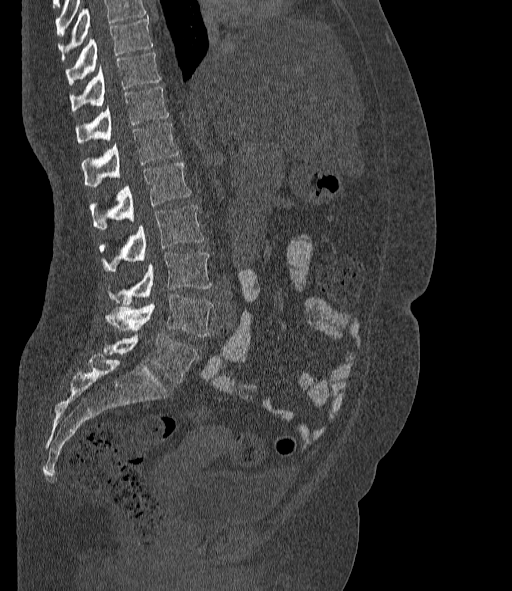
Spine CT; sagittal view

No box is given to a vertebra that the top edge of the scan cuts off.
These labels give the spine a sixth lumbar vertebra, L6, below L5.
<vertebrae><v name="T10" x1="65" y1="16" x2="152" y2="85"/><v name="T11" x1="70" y1="53" x2="160" y2="110"/><v name="T12" x1="76" y1="87" x2="169" y2="143"/><v name="L1" x1="81" y1="122" x2="178" y2="186"/><v name="L2" x1="89" y1="163" x2="190" y2="230"/><v name="L3" x1="99" y1="205" x2="203" y2="271"/><v name="L4" x1="106" y1="253" x2="211" y2="303"/><v name="L5" x1="106" y1="295" x2="213" y2="337"/><v name="L6" x1="103" y1="334" x2="198" y2="383"/></vertebrae>